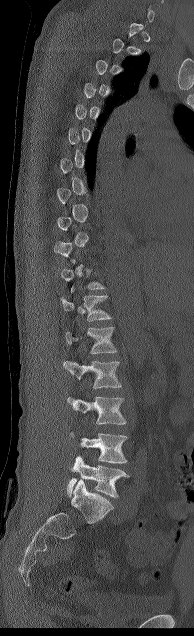 Spine CT — sagittal view — bone-window reconstruction. Boxes: x1:y1:x2:y2 in pixels.
Not every vertebra on this slice has a box: a vertebra is boxed only from the first to the last slice where its cross-section is at least a third of its largest, and this slice is outside that range for at least one of them.
Vertebra bounding boxes:
- T12: 61:295:111:321
- L1: 62:327:117:365
- L2: 65:361:121:388
- L3: 67:396:126:424
- L4: 69:432:127:463
- L5: 67:455:129:497